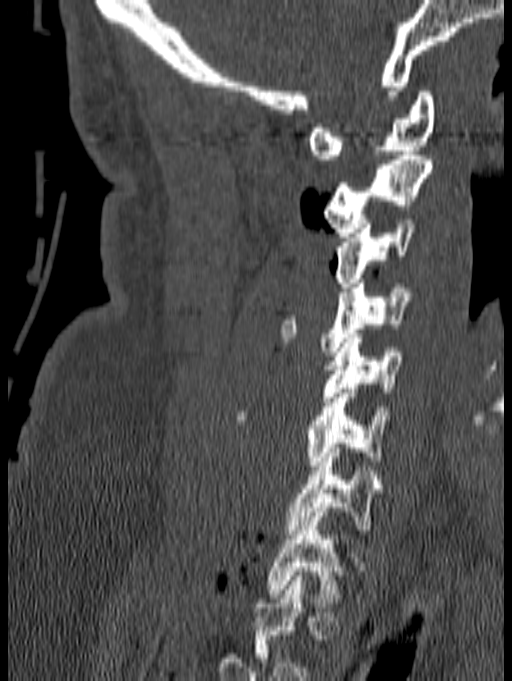
CT, spine — sagittal view — 512x681 px

Box edges are left/top/right/bottom in pixels. In this scan, the topmost labeled vertebra is C1 and the lowest is T1. The labeled vertebrae in this slice are: C1 at left=308, top=91, right=435, bottom=159, C2 at left=323, top=151, right=432, bottom=237, C3 at left=334, top=219, right=417, bottom=287, C4 at left=279, top=279, right=414, bottom=351, C5 at left=322, top=334, right=406, bottom=401, C6 at left=235, top=384, right=391, bottom=470, C7 at left=286, top=448, right=381, bottom=534, T1 at left=265, top=507, right=344, bottom=602.